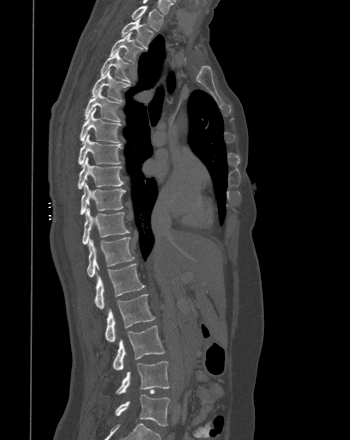

CT — sagittal view — bone-window reconstruction — 350 mm image width — 350x440 px

Each box given as x1,y1,x2,y2. The labeled vertebrae in this slice are: T1 at x1=131, y1=5, x2=163, y2=30, T2 at x1=121, y1=17, x2=153, y2=50, T3 at x1=110, y1=32, x2=142, y2=62, T4 at x1=100, y1=50, x2=129, y2=81, T5 at x1=91, y1=69, x2=128, y2=100, T6 at x1=84, y1=89, x2=120, y2=121, T7 at x1=79, y1=108, x2=120, y2=143, T8 at x1=78, y1=134, x2=120, y2=166, T9 at x1=77, y1=156, x2=123, y2=189, T10 at x1=80, y1=181, x2=125, y2=215, T11 at x1=82, y1=207, x2=129, y2=244, T12 at x1=87, y1=237, x2=134, y2=277, L1 at x1=94, y1=264, x2=144, y2=309, L2 at x1=105, y1=294, x2=155, y2=342, L3 at x1=113, y1=325, x2=164, y2=370, L4 at x1=115, y1=361, x2=169, y2=394, L5 at x1=115, y1=394, x2=169, y2=426.